Spine CT — Sagittal slice 261/512 — 180 mm wide — bone window — 512x640 px — 11 vertebrae labeled in this scan
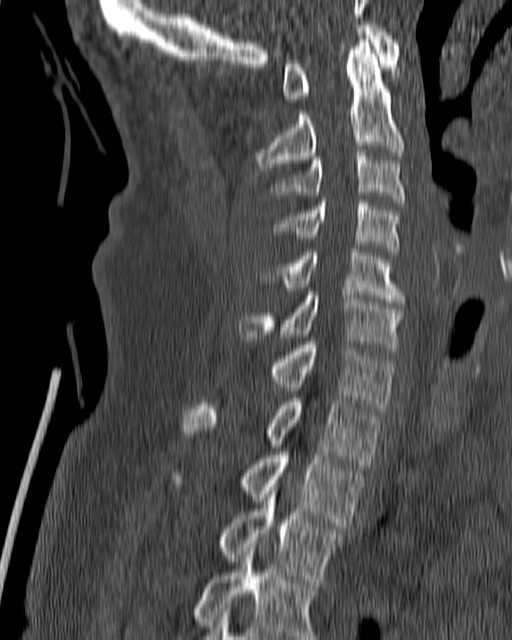 Boxes: x1 y1 x2 y2 (pixel coords, space-separated). Vertebrae labeled: C1 at 282 25 400 102, C2 at 257 36 404 170, C3 at 269 149 406 205, C4 at 274 199 398 251, C5 at 263 249 405 305, C6 at 239 288 404 347, C7 at 271 341 395 411, T1 at 183 398 378 465, T2 at 171 452 364 525, T3 at 220 487 341 579, T4 at 193 544 319 639.